CT · sagittal view
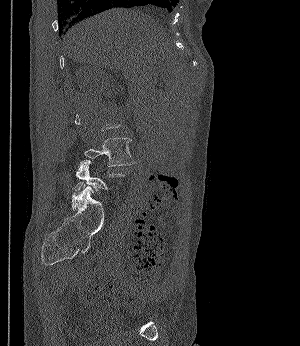 Boxes are given in columns x1, y1, x2, y2, the pixel coordinates of their top-left and bottom-right corners.
A vertebra gets a box only on the slices from the first to the last where its cross-section is at least a third of its largest; on a slice outside that range it gets none.
| vertebra | x1 | y1 | x2 | y2 |
|---|---|---|---|---|
| L4 | 84 | 137 | 136 | 166 |
| L5 | 75 | 160 | 125 | 191 |